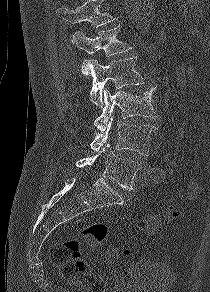
Computed tomography of the spine; 210 mm across the image; sagittal reformat
Boxes below are [x1, y1, x2, y2] in pixels.
Vertebrae that run past the top of the scan are left unlabeled.
{"vertebrae":{"L1":[72,26,132,75],"L2":[84,56,144,107],"L3":[94,87,157,131],"L4":[90,116,157,155],"L5":[76,144,138,190]}}